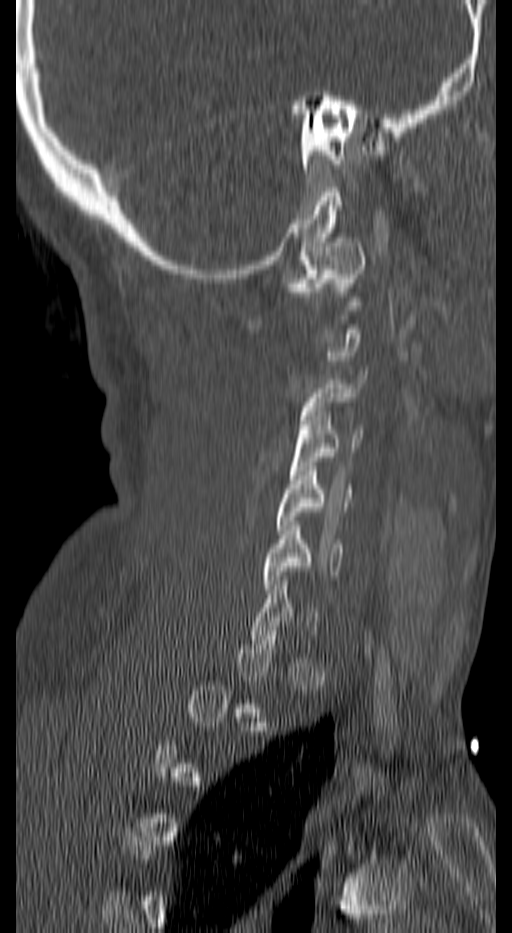
Computed tomography of the spine; sagittal view; W/L 1800/400 HU
Each vertebra maps to its box as [x1, y1, x2, y2], the pixel coordinates of its top-left and bottom-right corners.
A vertebra is boxed only from the first to the last slice where its cross-section is at least a third of its largest; slices outside that range leave it without a box.
{"vertebrae":{"C6":[265,521,344,593],"C5":[276,466,351,534],"C4":[290,411,362,479],"C3":[297,370,366,438],"C1":[286,238,366,305]}}